Computed tomography of the spine — sagittal view — W/L 1800/400 HU — 512x642 px — 8 vertebrae labeled in this scan
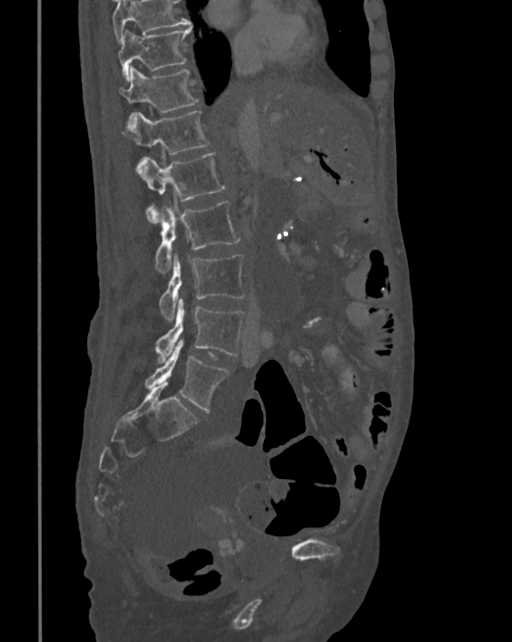
Where the top of the scan cuts through a vertebra, that vertebra gets no label or box.
<vertebrae><v name="L5" x1="145" y1="338" x2="229" y2="411"/><v name="L4" x1="155" y1="299" x2="246" y2="364"/><v name="L3" x1="158" y1="255" x2="246" y2="320"/><v name="L2" x1="155" y1="201" x2="240" y2="274"/><v name="L1" x1="140" y1="153" x2="225" y2="222"/><v name="T12" x1="123" y1="111" x2="210" y2="173"/><v name="T11" x1="120" y1="68" x2="198" y2="123"/><v name="T10" x1="118" y1="26" x2="192" y2="81"/></vertebrae>